Spine computed tomography; sagittal reformat
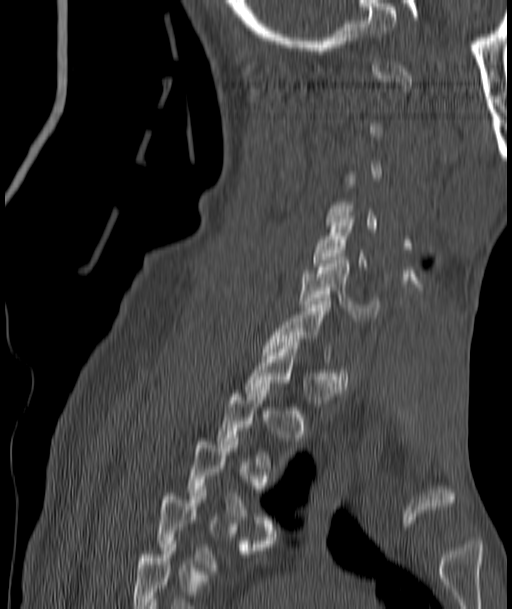 Boxes are given in columns x1, y1, x2, y2, the pixel coordinates of their top-left and bottom-right corners.
Each vertebra is boxed only on the slices from the first to the last where its cross-section reaches a third of its largest, so a slice outside that range leaves it unboxed.
| vertebra | x1 | y1 | x2 | y2 |
|---|---|---|---|---|
| C5 | 313 | 219 | 367 | 269 |
| C6 | 299 | 260 | 378 | 321 |